Spine CT. Sagittal slice 285/512. 18 vertebrae labeled in this scan
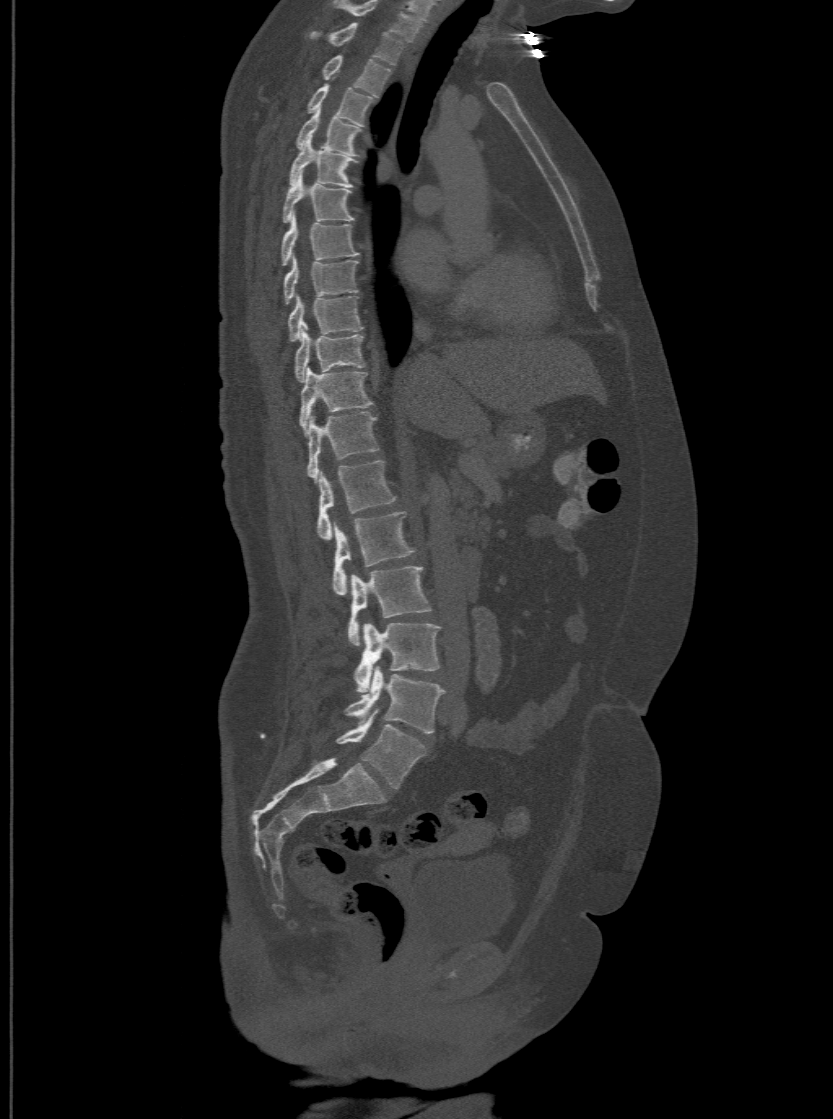
Boxes below are [x1, y1, x2, y2] in pixels.
The highest labeled vertebra in this scan is T1; the lowest is L6.
The labels name a sixth lumbar vertebra for this spine: L6, after L5.
{"vertebrae":{"T1":[309,22,404,64],"T2":[322,53,391,94],"T3":[306,82,372,124],"T4":[295,108,360,154],"T5":[288,138,355,186],"T6":[282,175,354,221],"T7":[280,215,359,264],"T8":[283,257,357,302],"T9":[288,295,362,339],"T10":[295,325,364,381],"T11":[298,367,372,432],"T12":[306,410,378,479],"L1":[317,458,396,539],"L2":[332,510,414,595],"L3":[348,566,430,645],"L4":[353,623,440,693],"L5":[345,666,443,733],"L6":[337,709,425,788]}}